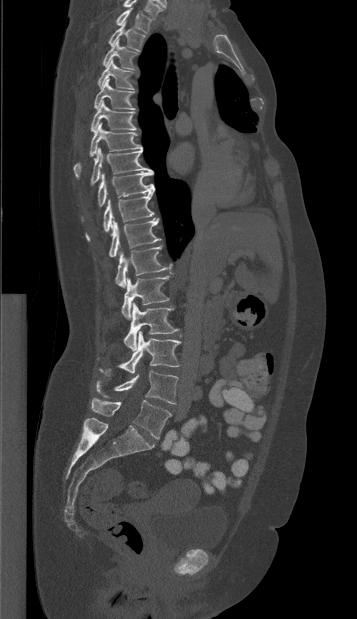

Spine CT · sagittal view. In the table, x1 and y1 are a box's top-left corner and x2 and y2 its bottom-right corner, in pixels.
| vertebra | x1 | y1 | x2 | y2 |
|---|---|---|---|---|
| T1 | 116 | 8 | 151 | 33 |
| T2 | 108 | 21 | 145 | 51 |
| T3 | 102 | 39 | 137 | 69 |
| T4 | 97 | 59 | 133 | 91 |
| T5 | 94 | 79 | 135 | 109 |
| T6 | 90 | 101 | 137 | 132 |
| T7 | 74 | 123 | 142 | 176 |
| T8 | 90 | 147 | 152 | 184 |
| T9 | 82 | 171 | 154 | 219 |
| T10 | 85 | 193 | 154 | 241 |
| T11 | 109 | 218 | 161 | 257 |
| T12 | 115 | 246 | 174 | 287 |
| L1 | 121 | 276 | 169 | 319 |
| L2 | 123 | 303 | 178 | 350 |
| L3 | 99 | 331 | 180 | 375 |
| L4 | 96 | 370 | 178 | 403 |
| L5 | 91 | 398 | 171 | 438 |